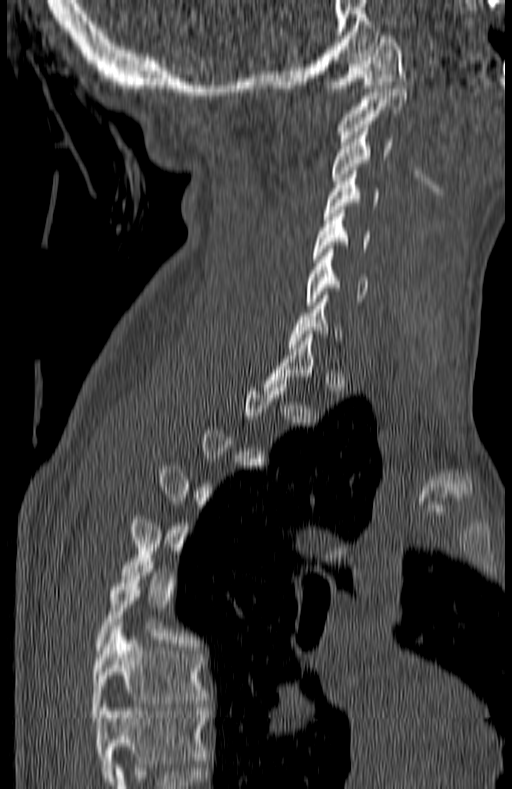

CT · sagittal view · bone-window reconstruction. Boxes are (x1, y1, x2, y2) in pixels.
Not every vertebra on this slice has a box: a vertebra is boxed only from the first to the last slice where its cross-section is at least a third of its largest, and this slice is outside that range for at least one of them.
This scan's labels start at C1 at the top and end at T7 at the bottom.
C1: (331, 36, 405, 88)
C2: (337, 89, 407, 141)
C3: (331, 128, 392, 184)
C4: (322, 171, 379, 219)
C5: (314, 210, 370, 259)
C6: (305, 249, 367, 305)
T7: (92, 626, 208, 717)